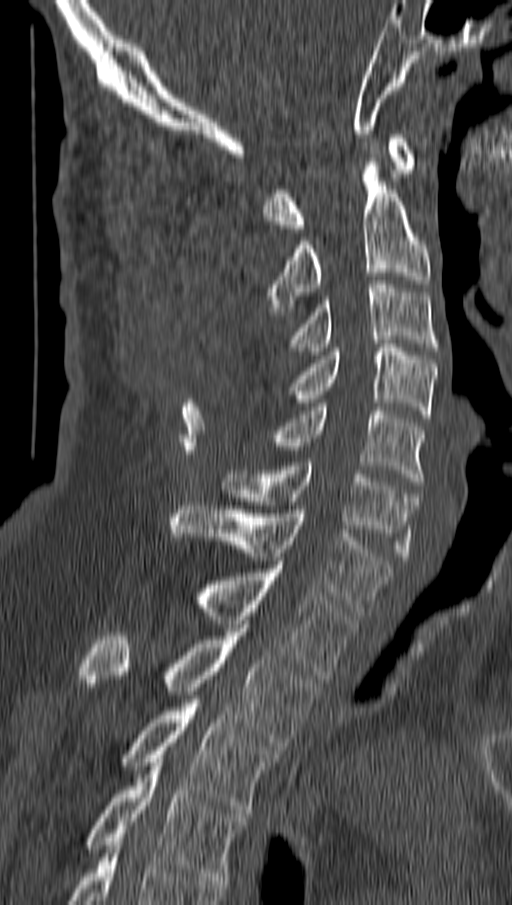
Spine computed tomography. sagittal view. W/L 1800/400 HU
Boxes: x1 y1 x2 y2 (pixel coords, space-separated). The labeled vertebrae in this slice are: C1 at 263 134 416 232, C2 at 267 158 430 315, C3 at 288 280 437 355, C4 at 292 344 436 422, C5 at 260 407 424 485, C6 at 222 462 417 560, C7 at 169 502 392 615, T1 at 194 565 354 679, T2 at 80 628 319 750, T3 at 121 699 278 817, T4 at 86 762 247 884.